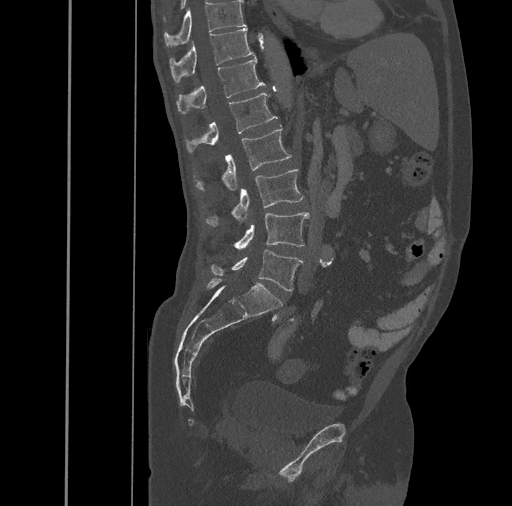

CT. sagittal reformat. W/L 1800/400 HU. Boxes are given in columns x1, y1, x2, y2, the pixel coordinates of their top-left and bottom-right corners.
| vertebra | x1 | y1 | x2 | y2 |
|---|---|---|---|---|
| T10 | 164 | 1 | 245 | 46 |
| T11 | 170 | 28 | 254 | 82 |
| T12 | 177 | 57 | 265 | 113 |
| L1 | 186 | 93 | 277 | 153 |
| L2 | 193 | 128 | 292 | 191 |
| L3 | 206 | 169 | 303 | 225 |
| L4 | 234 | 213 | 308 | 250 |
| L5 | 210 | 249 | 303 | 291 |